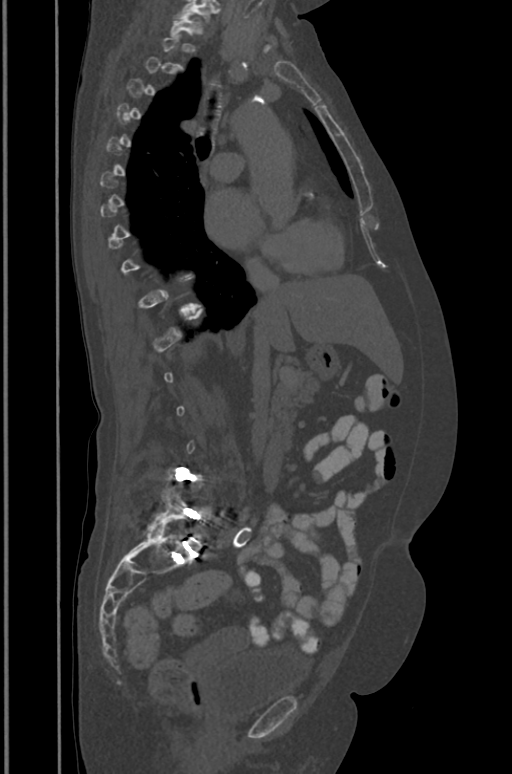

CT spine. sagittal view
Each box is [x1, y1, x2, y2] in pixels: top-left corner, then bottom-right corner.
A vertebra gets a box only on the slices from the first to the last where its cross-section is at least a third of its largest; on a slice outside that range it gets none.
This scan's labels start at T1 at the top and end at L5 at the bottom.
{"vertebrae":{"T1":[170,14,198,35],"L5":[147,486,211,547]}}